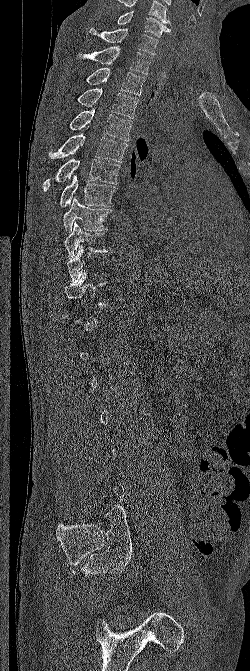 CT, spine · sagittal reformat · Bone window (WL 400, WW 1800) · 250x671 px
Boxes are (x1, y1, x2, y2) in pixels.
Each vertebra is boxed only on the slices from the first to the last where its cross-section reaches a third of its largest, so a slice outside that range leaves it unboxed.
In this scan, the topmost labeled vertebra is C6 and the lowest is L5.
Vertebra bounding boxes:
- C6: (117, 11, 171, 37)
- C7: (89, 27, 158, 55)
- T1: (77, 46, 152, 74)
- T2: (86, 67, 145, 95)
- T3: (77, 88, 138, 118)
- T4: (69, 107, 132, 141)
- T5: (48, 126, 127, 162)
- T6: (43, 159, 120, 192)
- T7: (59, 175, 117, 206)
- T8: (63, 196, 112, 233)
- T9: (64, 222, 110, 258)